CT — sagittal view — 291x291 px
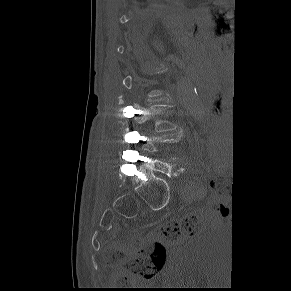 Boxes: x1 y1 x2 y2 (pixel coords, space-separated).
A vertebra is boxed only from the first to the last slice where its cross-section is at least a third of its largest; slices outside that range leave it without a box.
Vertebra bounding boxes:
- L5: 144 158 183 176
- L3: 132 103 176 131